Computed tomography of the spine — 165 mm image width — Sagittal slice 324/512
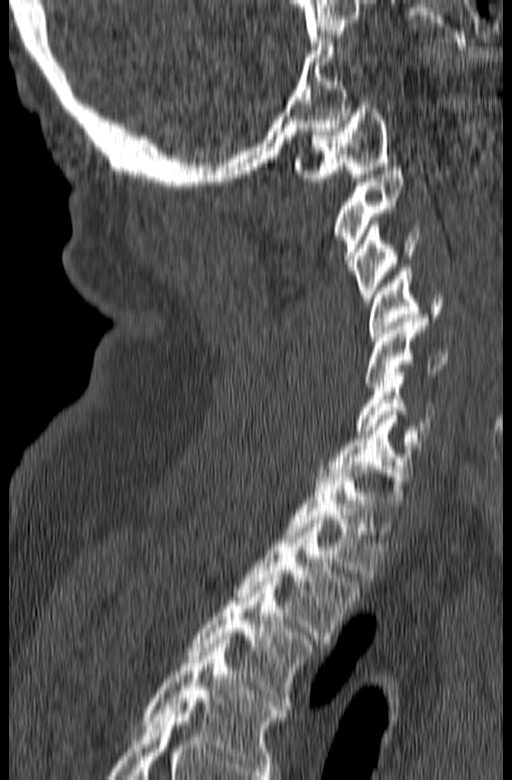
Boxes: x1:y1:x2:y2 in pixels.
In this scan, the topmost labeled vertebra is C1 and the lowest is T3.
Vertebra bounding boxes:
- C1: 295:101:389:181
- C2: 333:167:405:271
- C3: 352:221:419:302
- C4: 367:268:442:340
- C5: 364:318:448:387
- C6: 355:368:435:437
- C7: 318:411:424:507
- T1: 283:465:385:577
- T2: 234:520:360:643
- T3: 187:578:313:705